Spine computed tomography · sagittal reformat · 381x252 px
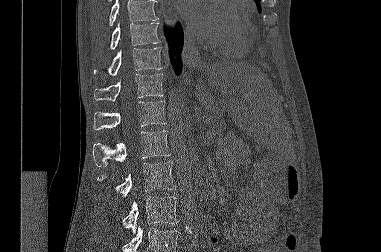 Where the top or bottom of the scan cuts through a vertebra, that vertebra gets no label or box.
<vertebrae><v name="T9" x1="110" y1="22" x2="159" y2="49"/><v name="T10" x1="93" y1="48" x2="162" y2="75"/><v name="T11" x1="94" y1="74" x2="163" y2="101"/><v name="T12" x1="93" y1="101" x2="166" y2="129"/><v name="L1" x1="92" y1="130" x2="170" y2="166"/><v name="L2" x1="97" y1="162" x2="175" y2="197"/><v name="L3" x1="122" y1="196" x2="177" y2="233"/></vertebrae>